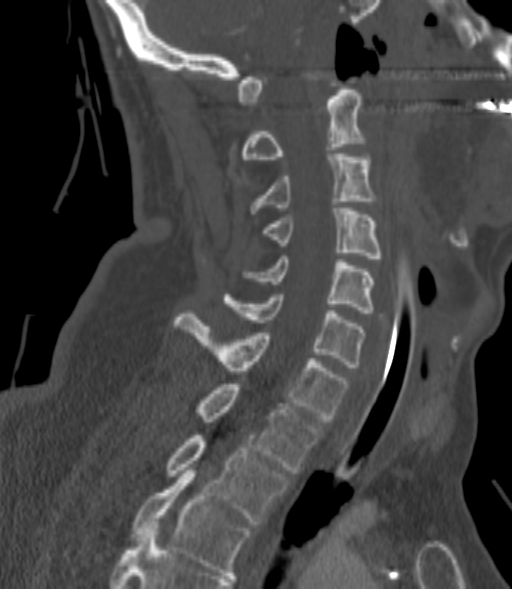
Computed tomography of the spine · sagittal view · W/L 1800/400 HU · 512x589 px. Boxes: x1:y1:x2:y2 in pixels.
A vertebra gets a box only on the slices from the first to the last where its cross-section is at least a third of its largest; on a slice outside that range it gets none.
C2: 241:90:363:159
C3: 250:154:374:213
C4: 262:208:381:261
C5: 243:256:374:313
C6: 224:294:363:367
C7: 175:314:348:421
T1: 195:384:320:473
T2: 167:435:287:524
T3: 131:470:251:575